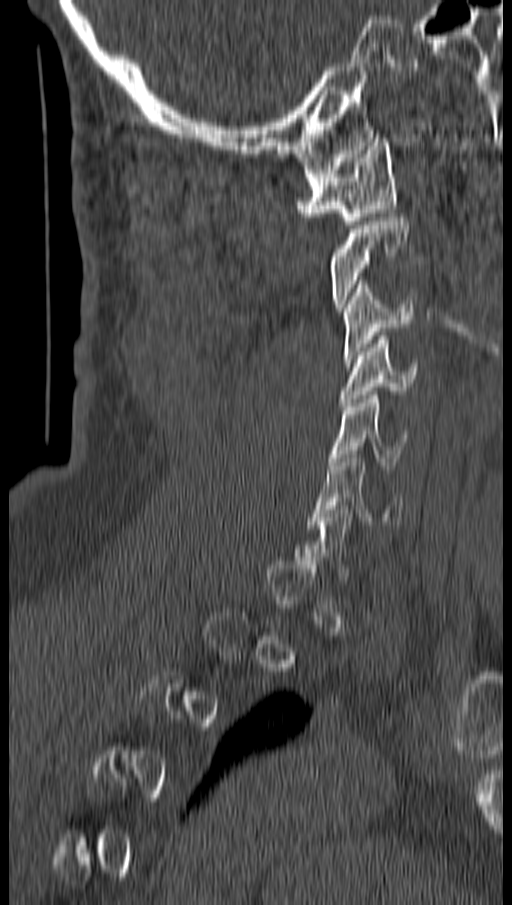 Spine computed tomography; sagittal view; W/L 1800/400 HU
Boxes: x1:y1:x2:y2 in pixels. A vertebra is boxed only from the first to the last slice where its cross-section is at least a third of its largest; slices outside that range leave it without a box. 5 vertebrae labeled — C1 at 298:138:395:228; C3 at 342:280:414:362; C4 at 339:336:417:406; C5 at 330:391:409:469; C6 at 311:454:403:528.